CT spine · sagittal reformat · bone window · 23 vertebrae labeled in this scan · an area of the scan was removed and filled with constant pixels
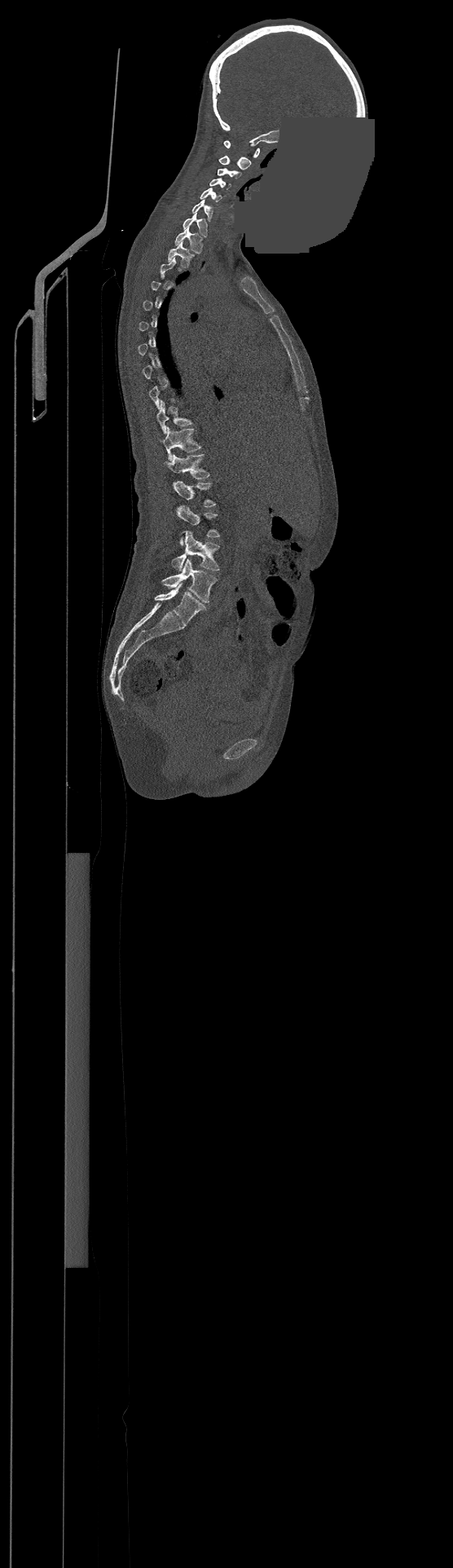

A vertebra is boxed only from the first to the last slice where its cross-section is at least a third of its largest; slices outside that range leave it without a box.
Labels in this scan begin with C1 at the top and end with L4 at the bottom.
<vertebrae><v name="L4" x1="162" y1="559" x2="217" y2="603"/><v name="L3" x1="173" y1="531" x2="219" y2="571"/><v name="L2" x1="176" y1="506" x2="219" y2="545"/><v name="L1" x1="174" y1="481" x2="215" y2="506"/><v name="T12" x1="164" y1="454" x2="209" y2="478"/><v name="T11" x1="161" y1="427" x2="200" y2="458"/><v name="T10" x1="156" y1="400" x2="191" y2="433"/><v name="T2" x1="168" y1="241" x2="193" y2="267"/><v name="T1" x1="175" y1="226" x2="201" y2="254"/><v name="C7" x1="183" y1="211" x2="206" y2="236"/><v name="C6" x1="191" y1="199" x2="213" y2="221"/><v name="C5" x1="200" y1="188" x2="222" y2="202"/><v name="C4" x1="209" y1="179" x2="231" y2="189"/><v name="C3" x1="218" y1="168" x2="240" y2="179"/><v name="C2" x1="219" y1="156" x2="251" y2="170"/><v name="C1" x1="224" y1="141" x2="259" y2="157"/></vertebrae>